Computed tomography of the spine. sagittal plane, index 303. 512x1029 px
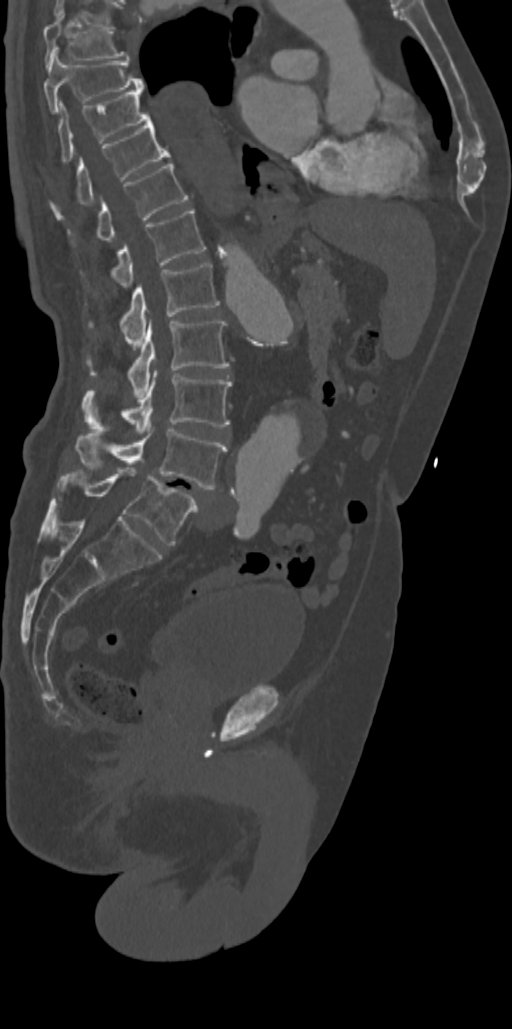

<vertebrae><v name="T7" x1="43" y1="13" x2="129" y2="66"/><v name="T8" x1="43" y1="54" x2="144" y2="111"/><v name="T9" x1="58" y1="90" x2="150" y2="163"/><v name="T10" x1="49" y1="119" x2="171" y2="217"/><v name="T11" x1="67" y1="162" x2="187" y2="246"/><v name="T12" x1="81" y1="209" x2="205" y2="287"/><v name="L1" x1="88" y1="263" x2="219" y2="345"/><v name="L2" x1="87" y1="319" x2="229" y2="397"/><v name="L3" x1="84" y1="371" x2="232" y2="433"/><v name="L4" x1="75" y1="429" x2="226" y2="489"/><v name="L5" x1="57" y1="467" x2="198" y2="545"/></vertebrae>